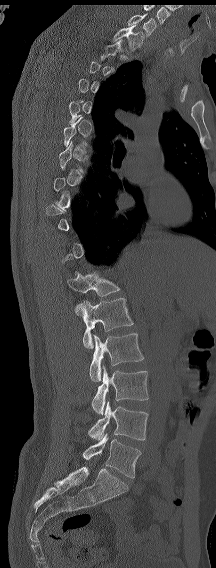

Spine computed tomography · sagittal view · bone-window reconstruction · the image spans 216 mm across

A vertebra is boxed only from the first to the last slice where its cross-section is at least a third of its largest; slices outside that range leave it without a box.
In this scan, the topmost labeled vertebra is C7 and the lowest is L6.
In these labels the spine has an L6, a sixth lumbar vertebra below L5.
<vertebrae><v name="C7" x1="127" y1="13" x2="156" y2="36"/><v name="T1" x1="112" y1="25" x2="144" y2="52"/><v name="L1" x1="67" y1="270" x2="120" y2="315"/><v name="L2" x1="81" y1="298" x2="133" y2="348"/><v name="L3" x1="89" y1="333" x2="143" y2="381"/><v name="L4" x1="91" y1="366" x2="148" y2="414"/><v name="L5" x1="88" y1="401" x2="148" y2="440"/><v name="L6" x1="82" y1="433" x2="141" y2="478"/></vertebrae>